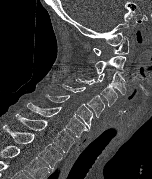
Spine CT. sagittal reformat. bone window. 152 mm wide

<vertebrae><v name="C1" x1="93" y1="36" x2="128" y2="55"/><v name="C2" x1="95" y1="55" x2="126" y2="74"/><v name="C3" x1="96" y1="71" x2="126" y2="96"/><v name="C4" x1="76" y1="78" x2="117" y2="106"/><v name="C5" x1="62" y1="84" x2="104" y2="117"/><v name="C6" x1="45" y1="94" x2="93" y2="129"/><v name="C7" x1="26" y1="102" x2="88" y2="137"/><v name="T1" x1="15" y1="114" x2="75" y2="152"/><v name="T2" x1="1" y1="125" x2="63" y2="169"/></vertebrae>